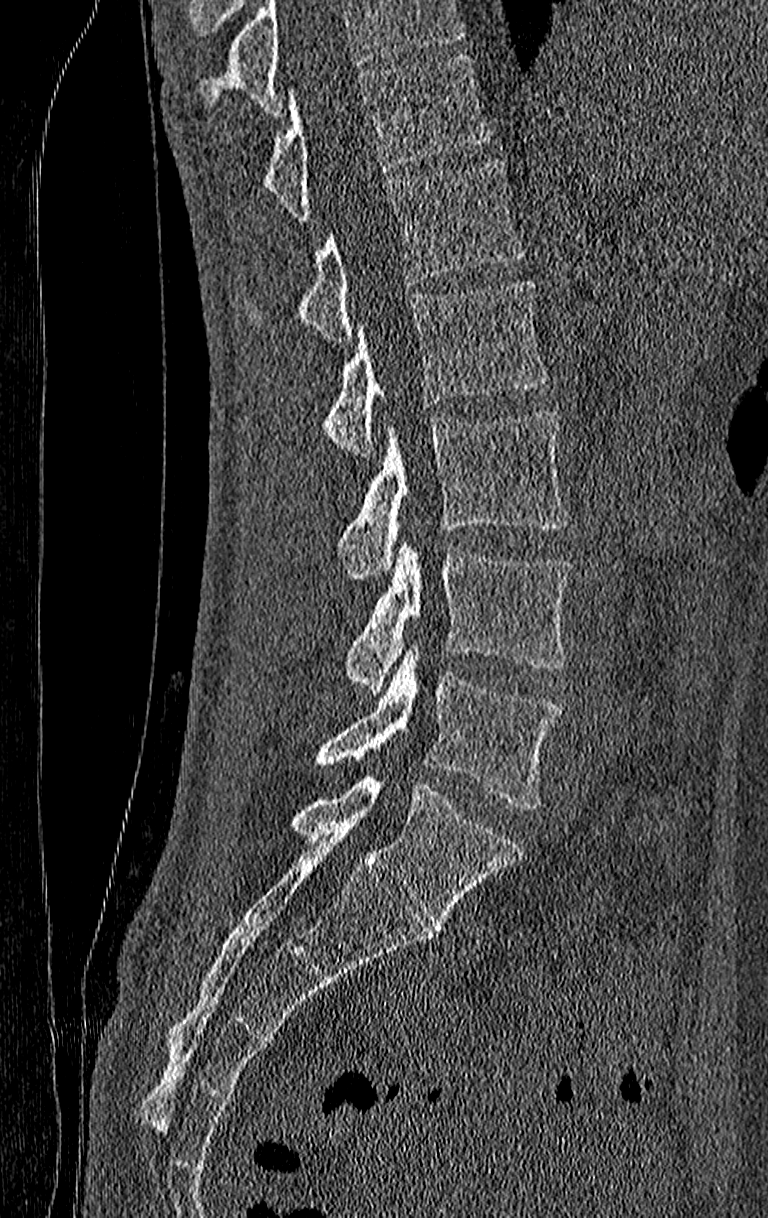 CT, spine. sagittal reformat. bone-window reconstruction. 768x1218 px
Each box given as x1,y1,x2,y2.
Where the top of the scan cuts through a vertebra, that vertebra gets no label or box.
The highest labeled vertebra in this scan is T11; the lowest is L4.
L4: x1=317, y1=645, x2=561, y2=809
L3: x1=346, y1=538, x2=572, y2=695
L2: x1=339, y1=410, x2=568, y2=578
L1: x1=324, y1=278, x2=546, y2=457
T12: x1=299, y1=158, x2=524, y2=340
T11: x1=266, y1=56, x2=488, y2=220